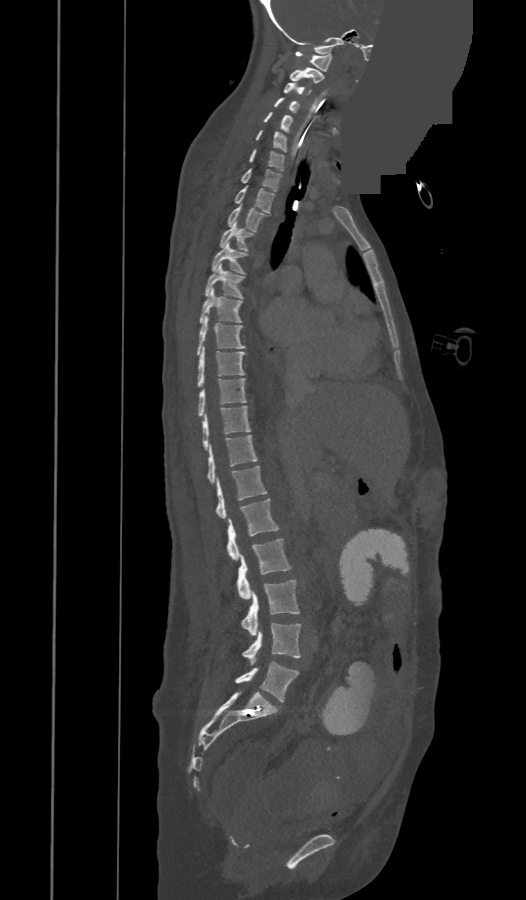
CT spine — sagittal view — 473 mm across the image — a portion of the image is blanked out (constant pixel value)

Each vertebra maps to its box as [x1, y1, x2, y2], the pixel coordinates of its top-left and bottom-right corners.
In these labels the spine has a T13, a thirteenth thoracic vertebra, between T12 and L1.
{"vertebrae":{"C1":[295,51,332,71],"C2":[289,68,323,82],"C3":[283,82,310,94],"C4":[274,98,299,111],"C5":[263,112,292,131],"C6":[256,130,286,151],"C7":[248,149,283,170],"T1":[241,169,281,191],"T2":[234,187,273,212],"T3":[228,205,264,231],"T4":[220,222,253,250],"T5":[212,242,245,274],"T6":[205,265,243,298],"T7":[199,288,241,323],"T8":[197,315,244,354],"T9":[197,347,244,387],"T10":[198,378,245,416],"T11":[202,406,250,449],"T12":[207,435,257,482],"T13":[217,466,267,518],"L1":[227,499,278,560],"L2":[237,539,291,599],"L3":[241,580,299,635],"L4":[242,623,300,665],"L5":[235,662,298,701]}}